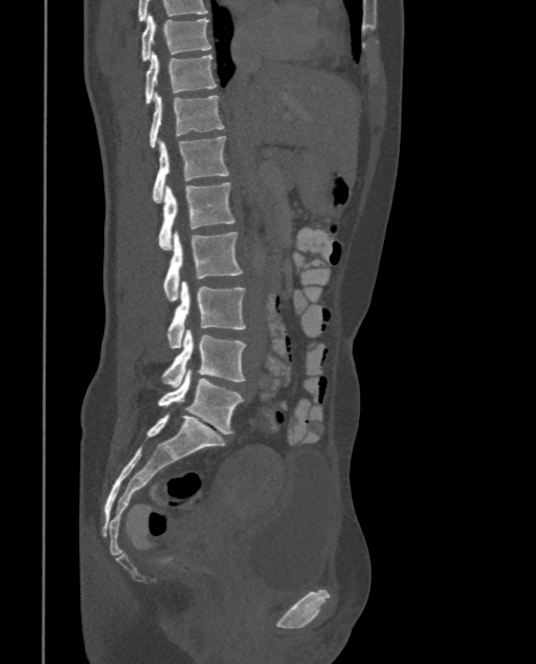 Computed tomography of the spine · sagittal view · bone window
Boxes: x1:y1:x2:y2 in pixels.
L5: 158:368:243:433
L4: 162:330:246:387
L3: 167:280:246:347
L2: 162:230:243:300
L1: 158:183:234:250
T12: 153:136:229:202
T11: 150:93:225:147
T10: 145:51:216:105
T9: 141:13:211:60